CT, spine — Sagittal slice 150/281 — part of the image has been replaced by a constant value
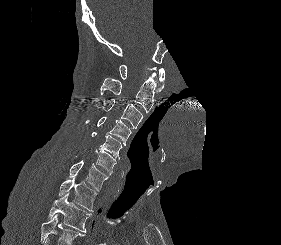

Boxes: x1:y1:x2:y2 in pixels. No box is given to a vertebra that the bottom edge of the scan cuts off. Vertebrae labeled: C1 at 119:65:165:93, C2 at 100:72:156:113, C3 at 95:98:143:128, C4 at 85:117:131:145, C5 at 91:132:122:159, C6 at 95:149:116:175, C7 at 69:160:109:191, T1 at 58:178:97:211, T2 at 48:191:91:232.